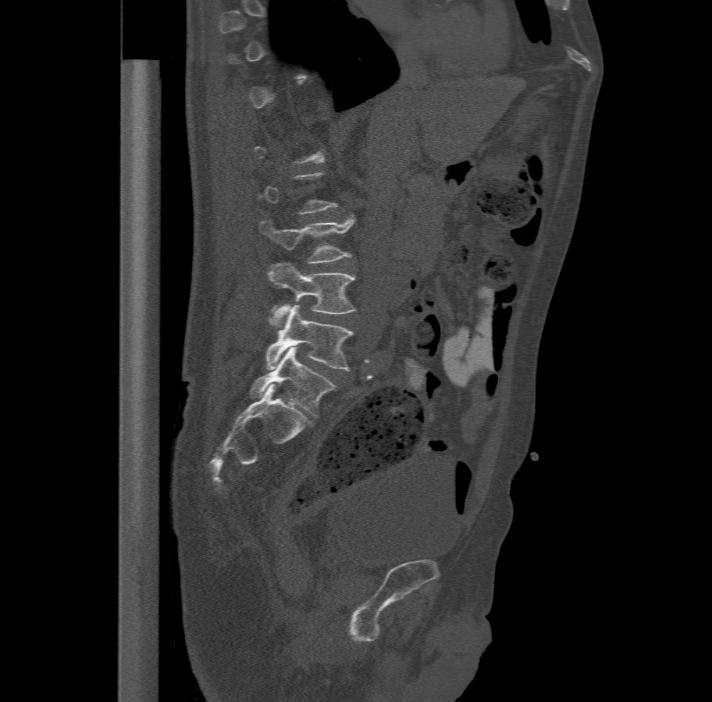

CT — sagittal view — 712x702 px
Boxes: x1 y1 x2 y2 (pixel coords, space-separated).
A vertebra gets a box only on the slices from the first to the last where its cross-section is at least a third of its largest; on a slice outside that range it gets none.
In these labels the spine has an L6, a sixth lumbar vertebra below L5.
L6: 250 347 334 416
L5: 266 305 352 370
L4: 267 262 355 324
L3: 260 215 354 261